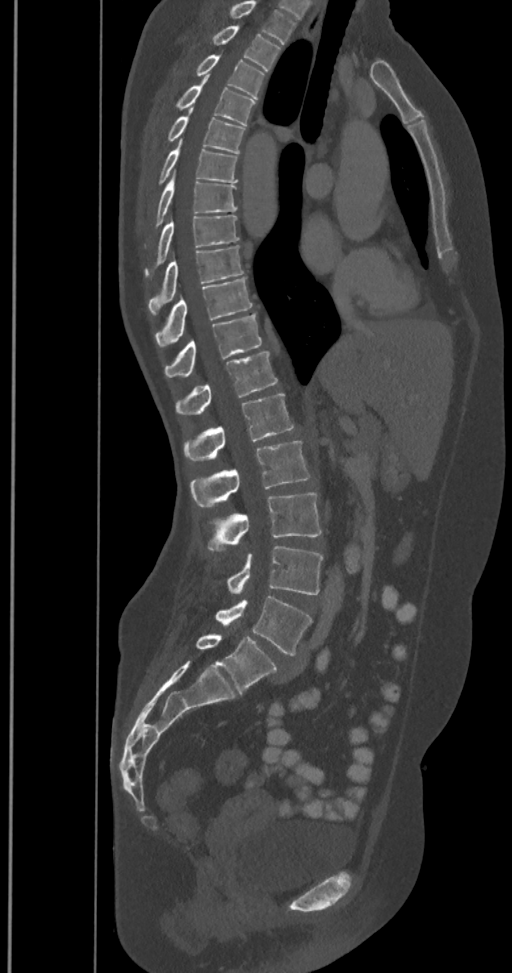 CT · sagittal reformat · W/L 1800/400 HU
This scan's labels start at T2 at the top and end at L6 at the bottom.
In these labels the spine has an L6, a sixth lumbar vertebra below L5.
<vertebrae><v name="T2" x1="210" y1="25" x2="280" y2="71"/><v name="T3" x1="174" y1="54" x2="264" y2="99"/><v name="T4" x1="174" y1="75" x2="255" y2="125"/><v name="T5" x1="165" y1="108" x2="246" y2="153"/><v name="T6" x1="153" y1="140" x2="237" y2="186"/><v name="T7" x1="145" y1="174" x2="237" y2="247"/><v name="T8" x1="145" y1="216" x2="239" y2="278"/><v name="T9" x1="148" y1="246" x2="243" y2="314"/><v name="T10" x1="155" y1="278" x2="252" y2="347"/><v name="T11" x1="164" y1="313" x2="261" y2="377"/><v name="T12" x1="175" y1="352" x2="277" y2="414"/><v name="L1" x1="183" y1="394" x2="294" y2="461"/><v name="L2" x1="190" y1="441" x2="310" y2="507"/><v name="L3" x1="206" y1="492" x2="321" y2="551"/><v name="L4" x1="227" y1="546" x2="322" y2="594"/><v name="L5" x1="215" y1="595" x2="312" y2="655"/><v name="L6" x1="196" y1="633" x2="277" y2="694"/></vertebrae>